CT, spine — sagittal reformat — bone-window reconstruction — image width 350 mm — 6 vertebrae labeled in this scan
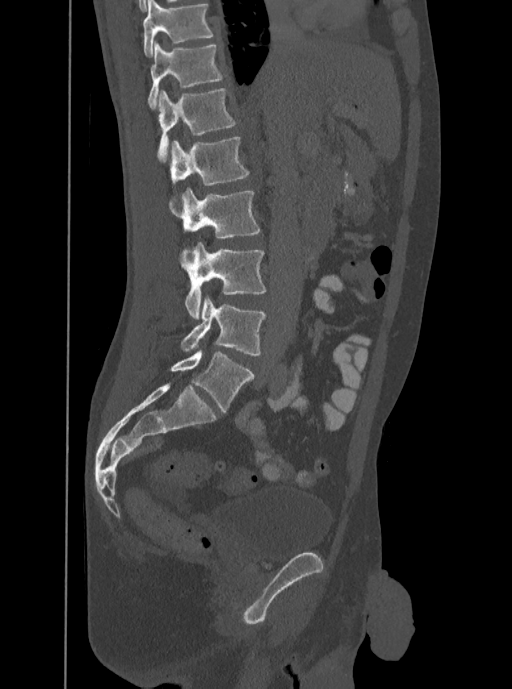 Coordinates as <box>x1,y1,x2,y2</box>. In this scan, the topmost labeled vertebra is T12 and the lowest is L5. Vertebrae labeled: T12 at <box>148,41,224,108</box>, L1 at <box>157,88,237,162</box>, L2 at <box>171,137,249,186</box>, L3 at <box>169,187,261,239</box>, L4 at <box>179,242,266,319</box>, L5 at <box>180,296,266,356</box>.